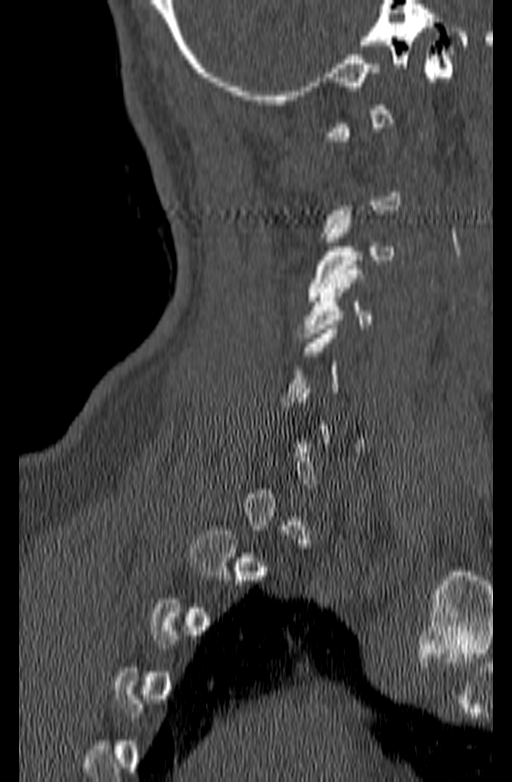 CT spine · sagittal view · 140 mm image width
Coordinates as <box>x1,y1,x2,y2</box>. A vertebra gets a box only on the slices from the first to the last where its cross-section is at least a third of its largest; on a slice outside that range it gets none. The labeled vertebrae in this slice are: C4 at <box>299,265,374,337</box>, C3 at <box>307,215,395,301</box>.